CT, spine; Sagittal slice 212/512; bone window; 593x528 px
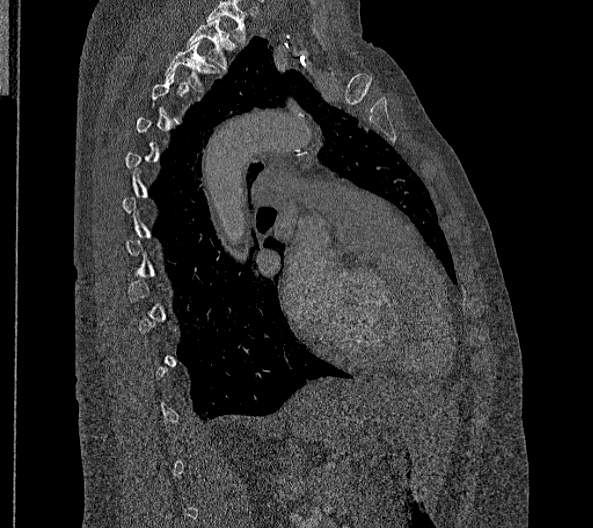 Boxes below are [x1, y1, x2, y2] in pixels.
Not every vertebra on this slice has a box: a vertebra is boxed only from the first to the last slice where its cross-section is at least a third of its largest, and this slice is outside that range for at least one of them.
In this scan, the topmost labeled vertebra is T2 and the lowest is L2.
{"vertebrae":{"T2":[187,18,237,70],"T3":[163,41,219,88]}}